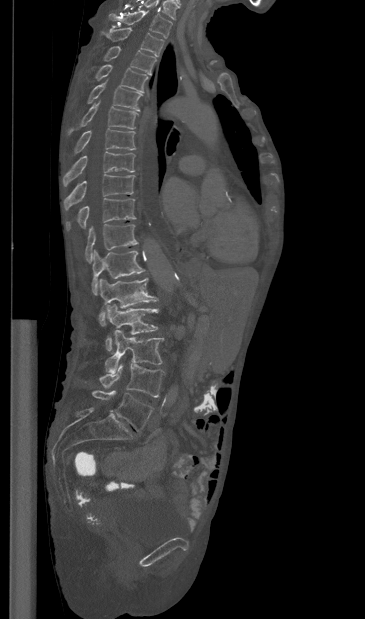
Spine CT — 365 mm image width — sagittal view — 365x619 px
Labels in this scan begin with T1 at the top and end with L5 at the bottom.
<vertebrae><v name="T1" x1="109" y1="10" x2="172" y2="38"/><v name="T2" x1="104" y1="27" x2="163" y2="56"/><v name="T3" x1="104" y1="46" x2="155" y2="74"/><v name="T4" x1="95" y1="64" x2="148" y2="92"/><v name="T5" x1="88" y1="79" x2="142" y2="111"/><v name="T6" x1="68" y1="101" x2="138" y2="134"/><v name="T7" x1="74" y1="128" x2="135" y2="154"/><v name="T8" x1="62" y1="151" x2="135" y2="186"/><v name="T9" x1="63" y1="174" x2="134" y2="210"/><v name="T10" x1="66" y1="198" x2="136" y2="230"/><v name="T11" x1="85" y1="224" x2="138" y2="262"/><v name="T12" x1="91" y1="249" x2="145" y2="295"/><v name="L1" x1="99" y1="278" x2="158" y2="325"/><v name="L2" x1="105" y1="304" x2="158" y2="350"/><v name="L3" x1="105" y1="329" x2="163" y2="373"/><v name="L4" x1="99" y1="364" x2="164" y2="397"/><v name="L5" x1="92" y1="390" x2="153" y2="431"/></vertebrae>